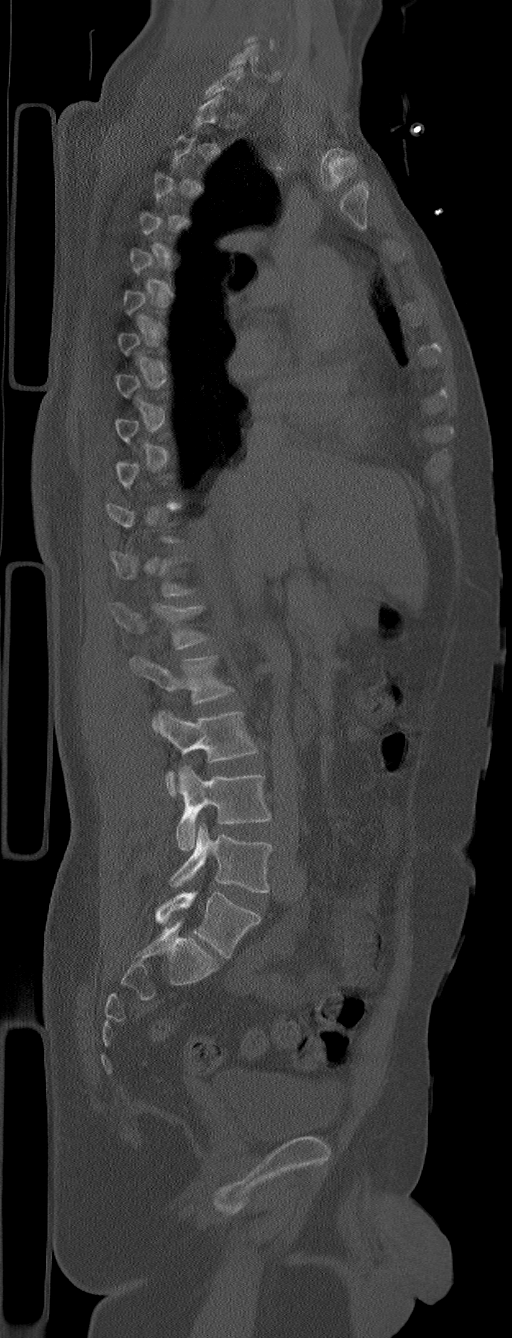 CT · sagittal view · 512x1338 px · 305 mm wide. Boxes: x1:y1:x2:y2 in pixels. Not every vertebra on this slice has a box: a vertebra is boxed only from the first to the last slice where its cross-section is at least a third of its largest, and this slice is outside that range for at least one of them. The labels name a sixth lumbar vertebra for this spine: L6, after L5. The labeled vertebrae in this slice are: C6 at 229:44:258:73, T12 at 109:551:192:597, L1 at 109:601:207:649, L2 at 130:655:233:703, L3 at 153:710:258:795, L4 at 175:764:271:850, L5 at 170:823:273:892, L6 at 155:892:260:958.